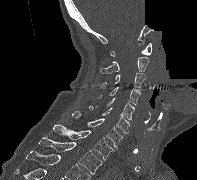 CT spine — the image is 197 mm wide — sagittal view — part of the image has been replaced by a constant value. Box edges are left/top/right/bottom in pixels. Vertebrae labeled: C1 at left=110, top=43, right=151, bottom=56, C2 at left=99, top=57, right=149, bottom=73, C3 at left=99, top=72, right=146, bottom=89, C4 at left=98, top=87, right=140, bottom=105, C5 at left=95, top=97, right=134, bottom=119, C6 at left=89, top=105, right=129, bottom=133, C7 at left=72, top=111, right=122, bottom=148, T1 at left=53, top=124, right=114, bottom=160, T2 at left=39, top=137, right=102, bottom=174.